Spine CT. sagittal reformat. 164 mm across the image. W/L 1800/400 HU. 164x404 px
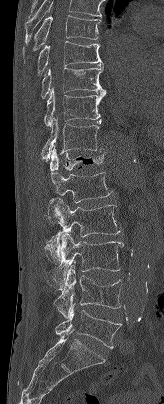
Each vertebra maps to its box as [x1, y1, x2, y2], the pixel coordinates of its top-left and bottom-right corners.
The highest labeled vertebra in this scan is T7; the lowest is L5.
{"vertebrae":{"T7":[22,15,100,62],"T8":[24,41,103,85],"T9":[40,64,106,98],"T10":[43,87,106,126],"T11":[41,118,103,161],"T12":[50,145,105,172],"L1":[45,172,112,225],"L2":[44,199,121,264],"L3":[53,232,123,289],"L4":[53,265,121,317],"L5":[55,303,122,348]}}